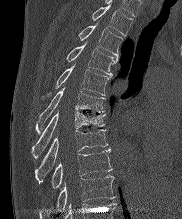

Spine computed tomography — sagittal view — 182x219 px
Box values are [left, top, right, bottom] in pixels.
{"vertebrae":{"T2":[91,3,132,36],"T3":[78,23,123,56],"T4":[66,41,117,75],"T5":[55,64,109,95],"T6":[35,88,104,133],"T7":[31,111,105,158],"T8":[36,129,107,179],"T9":[51,149,112,188],"T10":[39,175,115,218]}}